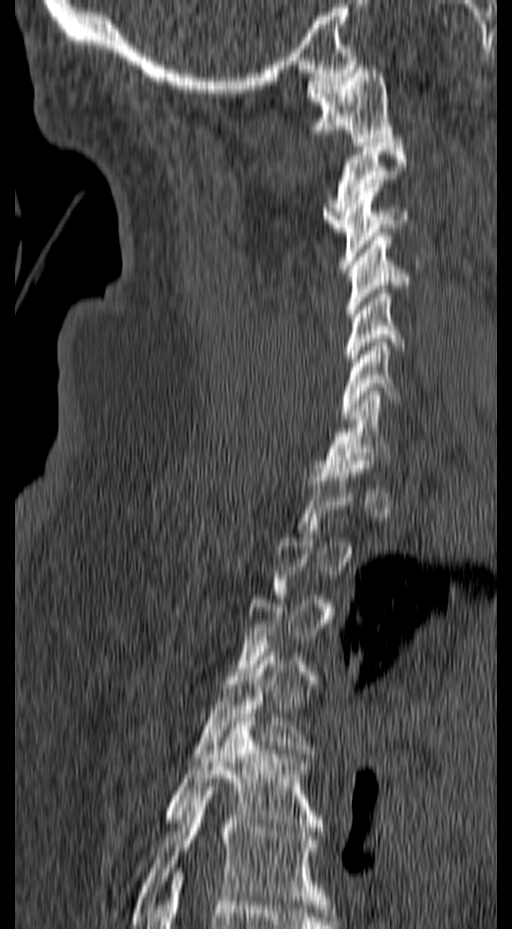 CT · sagittal reformat · 157 mm wide · Bone window (WL 400, WW 1800) · 512x929 px

Each box is [x1, y1, x2, y2] in pixels: top-left corner, then bottom-right corner.
Not every vertebra on this slice has a box: a vertebra is boxed only from the first to the last slice where its cross-section is at least a third of its largest, and this slice is outside that range for at least one of them.
{"vertebrae":{"C1":[306,65,394,142],"C2":[323,139,405,231],"C3":[339,183,408,268],"C4":[345,232,420,317],"C5":[343,285,404,370],"C6":[340,338,427,419],"C7":[321,391,391,472],"T4":[192,648,316,757],"T5":[165,713,323,831],"T6":[130,787,330,924]}}